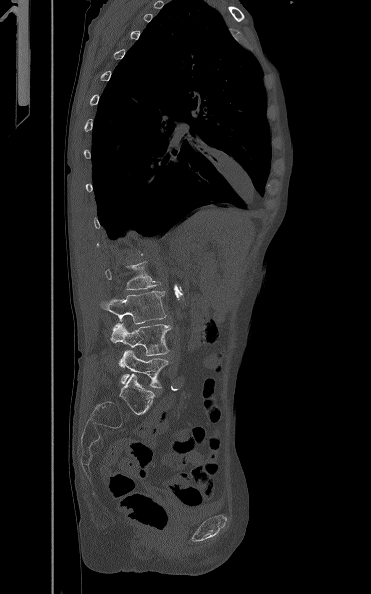
CT, spine — sagittal view — bone-window reconstruction — 371x594 px — image width 371 mm
<vertebrae><v name="L5" x1="119" y1="349" x2="168" y2="388"/><v name="L4" x1="110" y1="322" x2="172" y2="355"/><v name="L3" x1="101" y1="291" x2="166" y2="324"/><v name="L2" x1="105" y1="261" x2="160" y2="290"/></vertebrae>